CT spine · Sagittal slice 393/768 · scan covers 6 annotated vertebrae
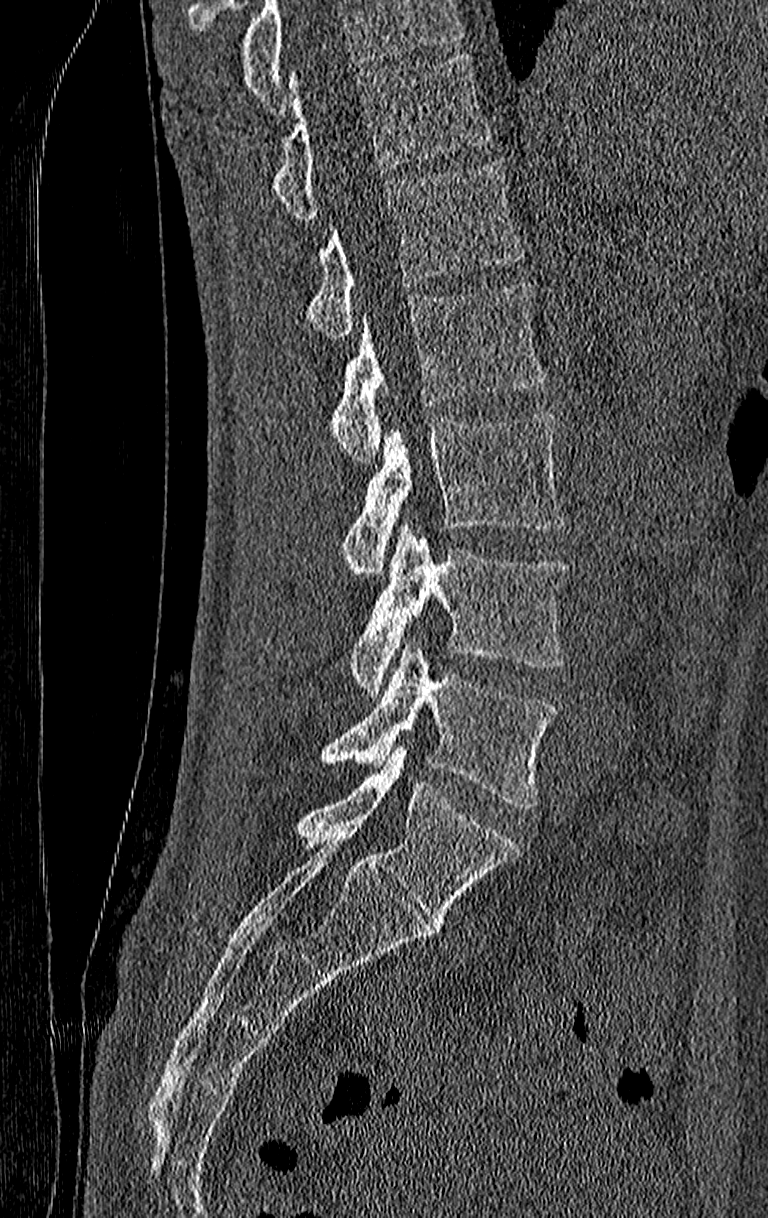 Each vertebra maps to its box as [x1, y1, x2, y2], the pixel coordinates of its top-left and bottom-right corners.
A vertebra cut off by the top edge of the scan is not labeled and has no box.
Labels in this scan begin with T11 at the top and end with L4 at the bottom.
{"vertebrae":{"T11":[269,56,491,220],"T12":[306,161,524,340],"L1":[328,283,546,461],"L2":[339,415,565,578],"L3":[346,528,568,695],"L4":[320,640,557,809]}}